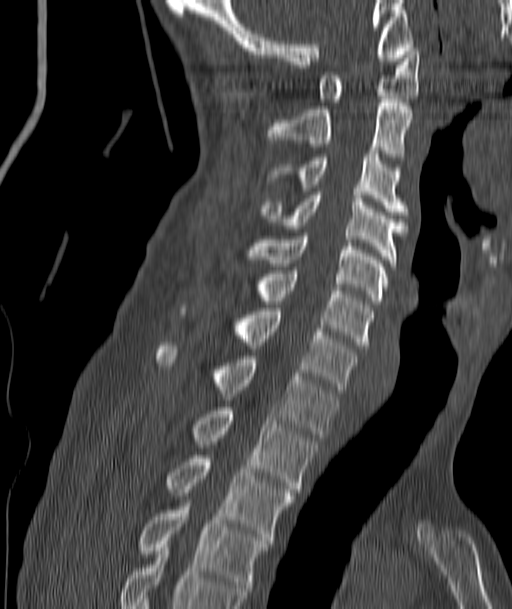 Spine CT — sagittal view — bone window
Boxes: x1:y1:x2:y2 in pixels. 11 vertebrae labeled — C1 at 318:48:419:102; C2 at 269:99:413:160; C3 at 269:151:405:215; C4 at 261:192:405:263; C5 at 245:233:389:304; C6 at 253:270:372:348; C7 at 179:305:356:393; T1 at 154:342:337:437; T2 at 190:407:317:492; T3 at 165:455:293:543; T4 at 138:507:271:598.